CT, spine — Sagittal slice 66/134 — scan covers 22 annotated vertebrae
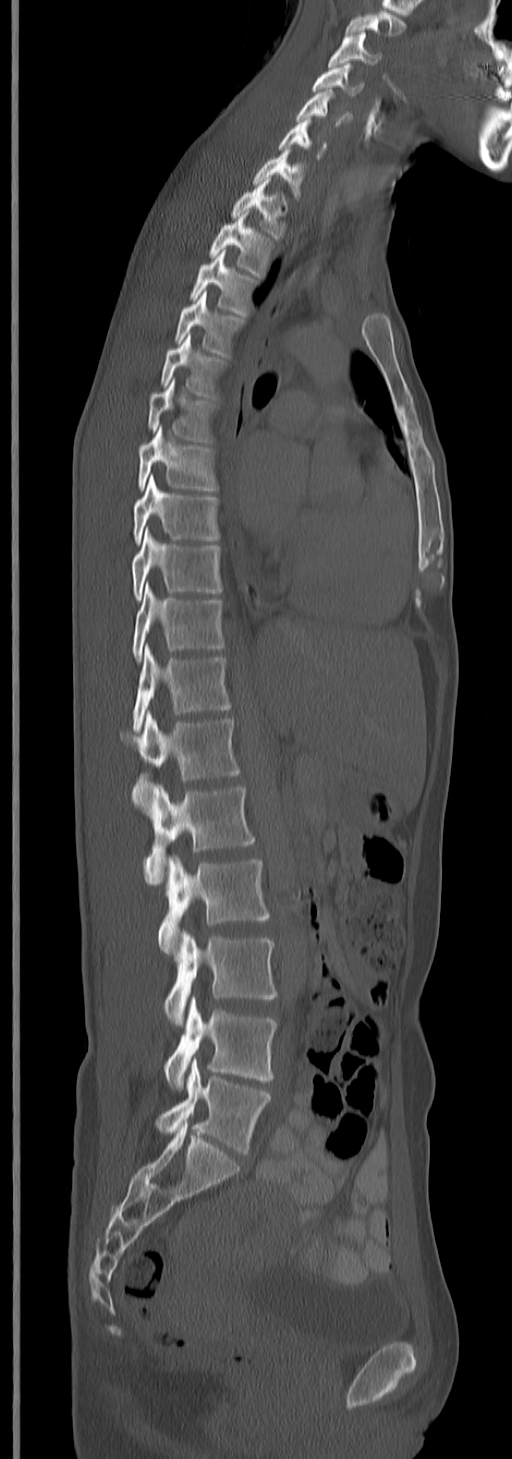
Boxes: x1:y1:x2:y2 in pixels.
Labels in this scan begin with C3 at the top and end with L5 at the bottom.
C3: 329:30:382:69
C4: 312:63:363:96
C5: 295:89:351:129
C6: 278:118:328:158
C7: 253:149:307:198
T1: 230:180:288:238
T2: 210:214:273:278
T3: 189:251:259:317
T4: 174:291:244:355
T5: 159:335:227:399
T6: 147:381:213:441
T7: 136:427:217:491
T8: 132:475:219:543
T9: 132:529:221:599
T10: 132:584:223:662
T11: 132:646:232:731
T12: 132:711:240:804
L1: 145:784:255:884
L2: 157:855:269:955
L3: 164:929:277:1026
L4: 164:996:277:1089
L5: 155:1058:271:1155